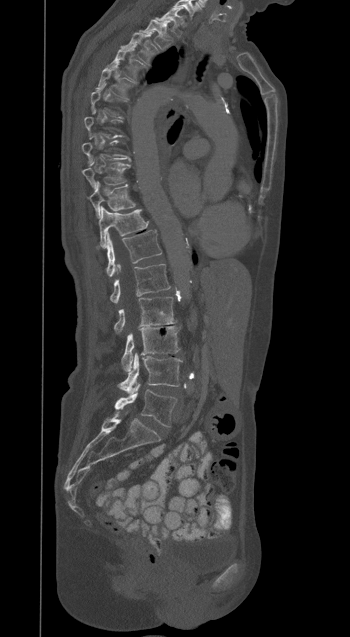 CT spine; sagittal view; image 350 mm wide
Coordinates as <box>x1,y1,x2,y2</box>.
Not every vertebra on this slice has a box: a vertebra is boxed only from the first to the last slice where its cross-section is at least a third of its largest, and this slice is outside that range for at least one of them.
Vertebra bounding boxes:
- T1: <box>155,7,183,36</box>
- T2: <box>140,19,170,49</box>
- T3: <box>122,32,159,63</box>
- T4: <box>108,49,143,78</box>
- T5: <box>97,64,131,96</box>
- T9: <box>82,163,129,188</box>
- T10: <box>89,182,135,217</box>
- T11: <box>99,206,148,247</box>
- T12: <box>106,230,161,276</box>
- L1: <box>110,264,170,303</box>
- L2: <box>114,297,175,333</box>
- L3: <box>121,326,179,371</box>
- L4: <box>118,353,181,393</box>
- L5: <box>115,384,176,426</box>